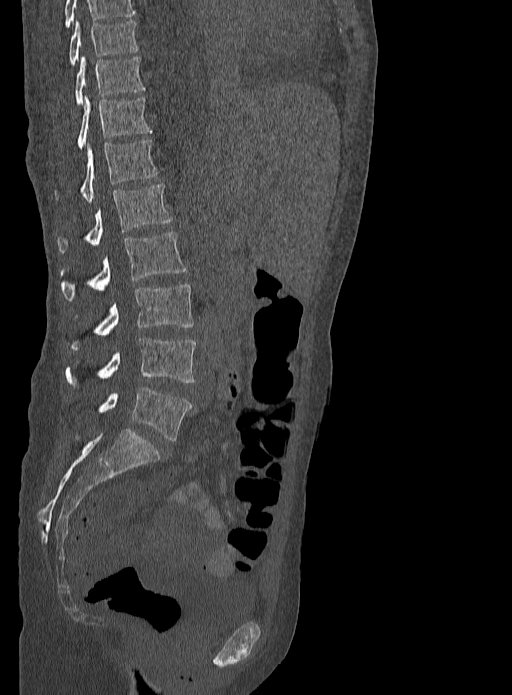

CT; sagittal view; 333 mm wide
In this scan, the topmost labeled vertebra is T9 and the lowest is L5.
<vertebrae><v name="L5" x1="98" y1="386" x2="191" y2="440"/><v name="L4" x1="66" y1="337" x2="196" y2="383"/><v name="L3" x1="70" y1="284" x2="194" y2="350"/><v name="L2" x1="61" y1="232" x2="186" y2="300"/><v name="L1" x1="58" y1="185" x2="172" y2="253"/><v name="T12" x1="81" y1="140" x2="159" y2="202"/><v name="T11" x1="78" y1="95" x2="151" y2="148"/><v name="T10" x1="75" y1="55" x2="145" y2="105"/><v name="T9" x1="69" y1="20" x2="137" y2="65"/></vertebrae>